CT spine — the image spans 173 mm across — sagittal view — bone-window reconstruction — an area of the scan was removed and filled with constant pixels
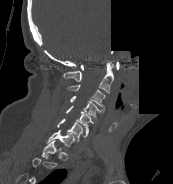 In this scan, the topmost labeled vertebra is C1 and the lowest is T1.
<vertebrae><v name="C2" x1="63" y1="61" x2="113" y2="92"/><v name="C3" x1="67" y1="84" x2="105" y2="112"/><v name="C4" x1="70" y1="96" x2="100" y2="118"/><v name="C5" x1="66" y1="105" x2="93" y2="132"/><v name="C6" x1="57" y1="118" x2="88" y2="143"/><v name="C7" x1="46" y1="129" x2="75" y2="147"/><v name="T1" x1="41" y1="140" x2="61" y2="157"/></vertebrae>